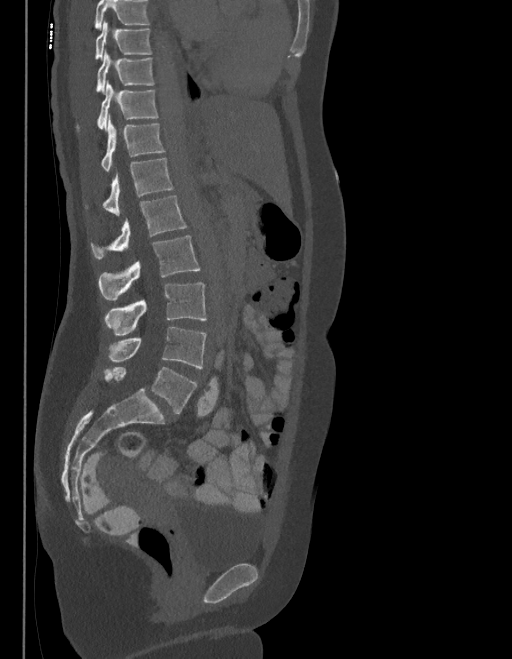

CT — sagittal reformat — bone-window reconstruction — 512x659 px
Each box given as x1,y1,x2,y2.
Vertebrae that run past the top of the scan are left unlabeled.
In these labels the spine has an L6, a sixth lumbar vertebra below L5.
| vertebra | x1 | y1 | x2 | y2 |
|---|---|---|---|---|
| T9 | 95 | 22 | 151 | 58 |
| T10 | 95 | 53 | 154 | 93 |
| T11 | 76 | 82 | 158 | 130 |
| T12 | 100 | 117 | 164 | 172 |
| L1 | 85 | 158 | 173 | 215 |
| L2 | 90 | 196 | 186 | 259 |
| L3 | 99 | 236 | 200 | 300 |
| L4 | 105 | 282 | 206 | 335 |
| L5 | 109 | 327 | 206 | 368 |
| L6 | 104 | 367 | 197 | 414 |